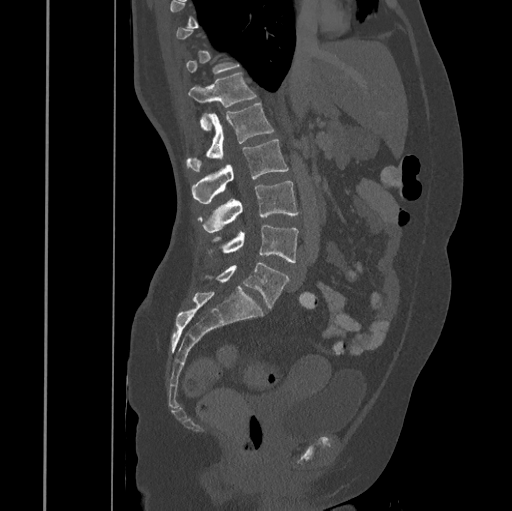
Spine computed tomography · sagittal view · W/L 1800/400 HU · 512x511 px. Bounding boxes as [x1, y1, x2, y2] in pixel coordinates.
Each vertebra is boxed only on the slices from the first to the last where its cross-section reaches a third of its largest, so a slice outside that range leaves it unboxed.
L5: [216, 262, 289, 308]
L4: [209, 226, 298, 262]
L3: [198, 180, 298, 232]
L2: [192, 139, 288, 204]
L1: [186, 104, 274, 171]
T12: [189, 72, 257, 129]